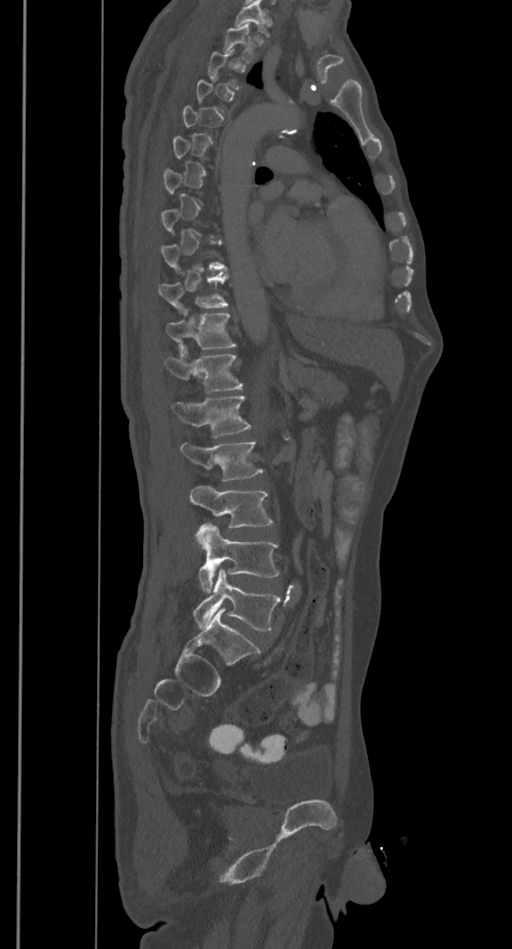

Spine CT — sagittal view

Boxes below are [x1, y1, x2, y2] in pixels.
A vertebra gets a box only on the slices from the first to the last where its cross-section is at least a third of its largest; on a slice outside that range it gets none.
{"vertebrae":{"T10":[158,274,228,311],"T11":[166,314,236,351],"T12":[163,347,242,393],"L1":[171,396,250,437],"L2":[179,442,262,481],"L3":[190,485,273,528],"L4":[195,523,279,593],"L5":[193,569,281,630]}}